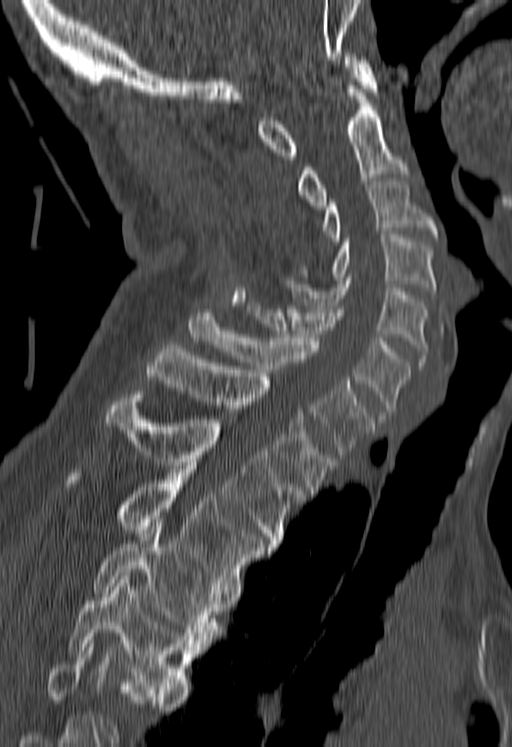
Computed tomography of the spine; sagittal view
Boxes: x1:y1:x2:y2 in pixels.
Where the bottom of the scan cuts through a vertebra, that vertebra gets no label or box.
Vertebra bounding boxes:
- C1: 258:53:377:159
- C2: 297:85:407:209
- C3: 322:181:438:241
- C4: 297:235:435:294
- C5: 281:277:427:365
- C6: 245:302:410:419
- C7: 189:309:373:454
- T1: 146:345:336:493
- T2: 104:391:304:547
- T3: 69:469:270:589
- T4: 93:526:222:643
- T5: 69:572:199:696